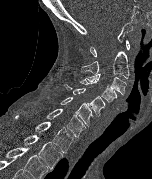
Spine computed tomography — sagittal view — 152 mm across the image — 152x179 px
Each vertebra maps to its box as [x1, y1, x2, y2], the pixel coordinates of its top-left and bottom-right corners.
{"vertebrae":{"C1":[90,40,130,57],"C2":[80,51,129,78],"C3":[85,73,126,96],"C4":[80,79,116,103],"C5":[64,84,105,116],"C6":[47,97,93,126],"C7":[46,109,85,137],"T1":[15,115,73,152],"T2":[23,135,63,169]}}